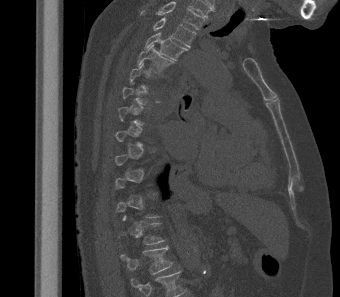
Computed tomography of the spine. sagittal view. In the table, x1 and y1 are a box's top-left corner and x2 and y2 its bottom-right corner, in pixels.
A vertebra is boxed only from the first to the last slice where its cross-section is at least a third of its largest; slices outside that range leave it without a box.
In this scan, the topmost labeled vertebra is T2 and the lowest is L1.
| vertebra | x1 | y1 | x2 | y2 |
|---|---|---|---|---|
| T2 | 153 | 17 | 196 | 47 |
| T3 | 145 | 32 | 188 | 60 |
| T4 | 137 | 44 | 174 | 73 |
| T12 | 119 | 215 | 166 | 245 |
| L1 | 120 | 246 | 173 | 274 |